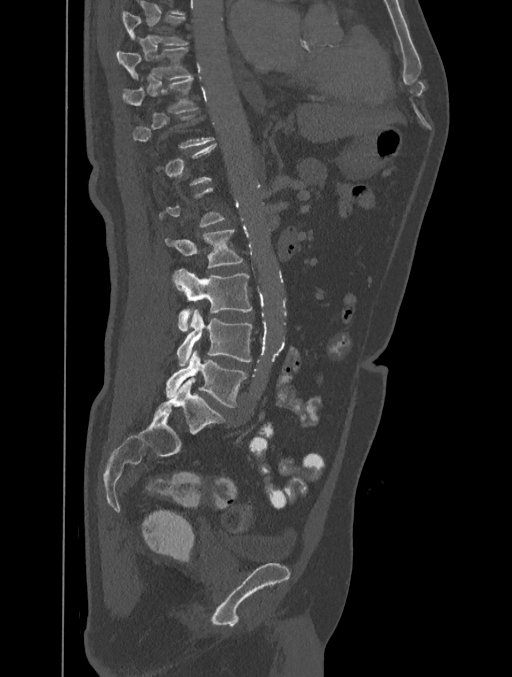

Computed tomography of the spine; sagittal reformat; the image spans 401 mm across; Bone window (WL 400, WW 1800); 512x677 px

Boxes: x1:y1:x2:y2 in pixels. Not every vertebra on this slice has a box: a vertebra is boxed only from the first to the last slice where its cross-section is at least a third of its largest, and this slice is outside that range for at least one of them. 7 vertebrae labeled — T8 at 122:11:189:45; T9 at 116:47:192:79; T10 at 122:77:198:113; L2 at 165:229:243:269; L3 at 174:268:252:331; L4 at 176:309:253:366; L5 at 166:352:247:407.